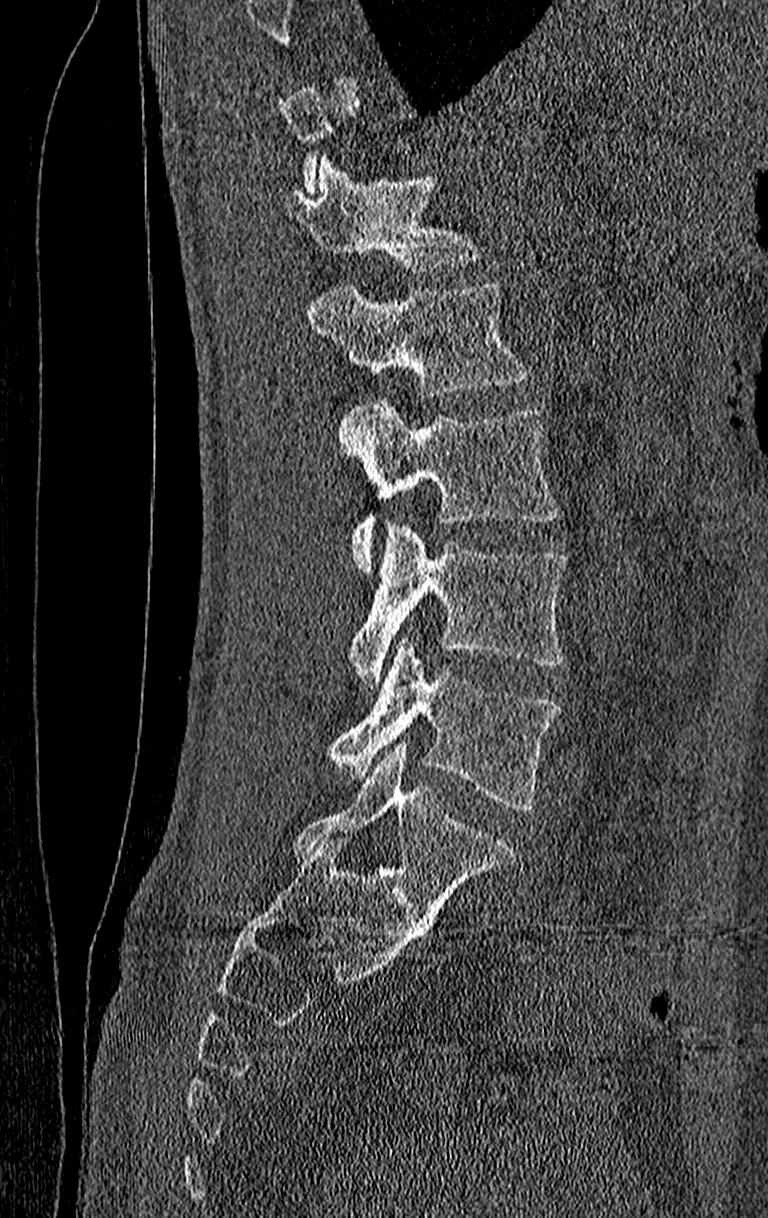 CT, spine; sagittal view; bone window; 768x1218 px; the image spans 210 mm across
Each vertebra maps to its box as [x1, y1, x2, y2], the pixel coordinates of its top-left and bottom-right corners.
A vertebra gets a box only on the slices from the first to the last where its cross-section is at least a third of its largest; on a slice outside that range it gets none.
Labels in this scan begin with T11 at the top and end with L4 at the bottom.
{"vertebrae":{"T12":[280,158,480,271],"L1":[306,283,528,399],"L2":[339,400,557,570],"L3":[350,523,568,684],"L4":[328,637,561,812]}}